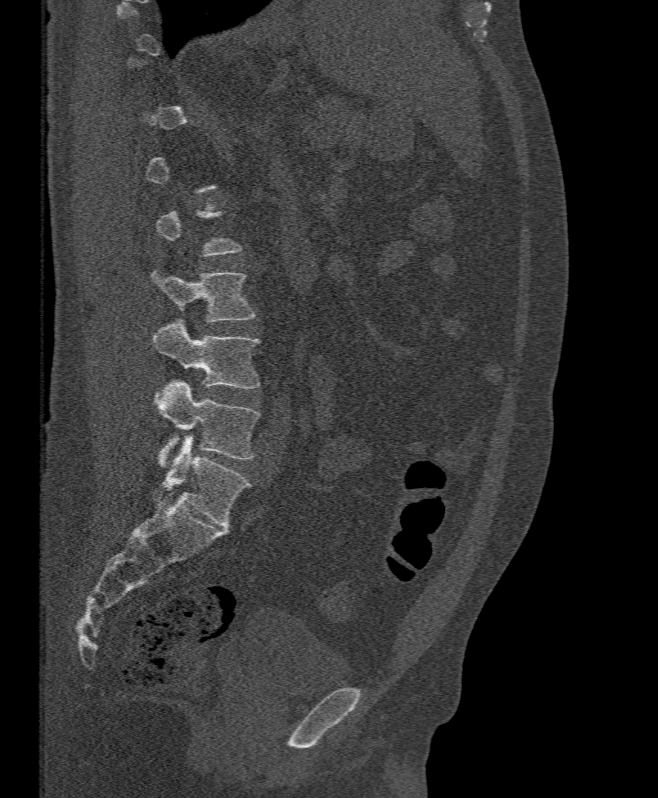

Spine CT. 395 mm wide. sagittal reformat. 658x798 px

Boxes: x1:y1:x2:y2 in pixels.
A vertebra is boxed only from the first to the last slice where its cross-section is at least a third of its largest; slices outside that range leave it without a box.
Vertebra bounding boxes:
- L3: 152:272:255:321
- L4: 153:320:259:389
- L5: 154:380:259:467